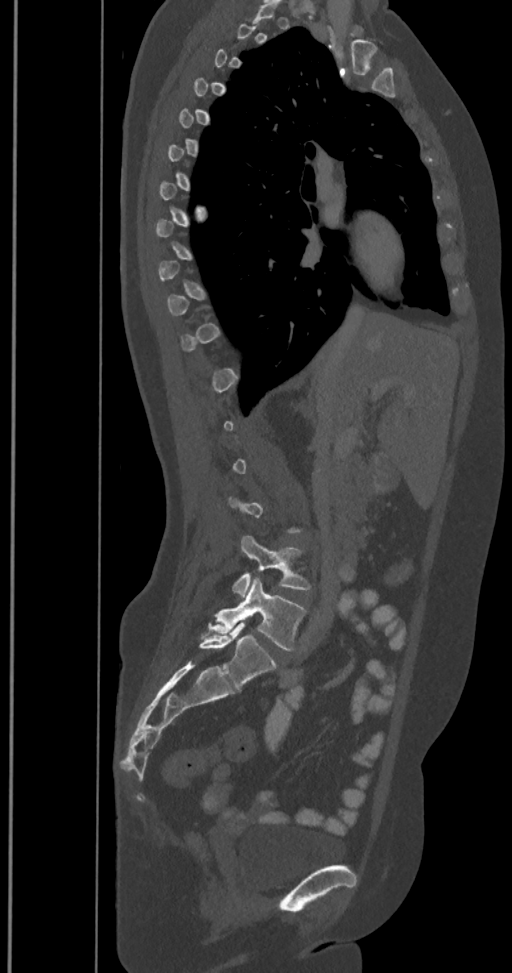
Spine computed tomography. 350 mm wide. sagittal view
Boxes below are [x1, y1, x2, y2] in pixels.
A vertebra gets a box only on the slices from the first to the last where its cross-section is at least a third of its largest; on a slice outside that range it gets none.
The labels name a sixth lumbar vertebra for this spine: L6, after L5.
{"vertebrae":{"L4":[232,536,310,597],"L5":[201,578,306,651],"L6":[199,621,277,689]}}